Spine CT — 140 mm across the image — sagittal plane, index 353 — 512x933 px
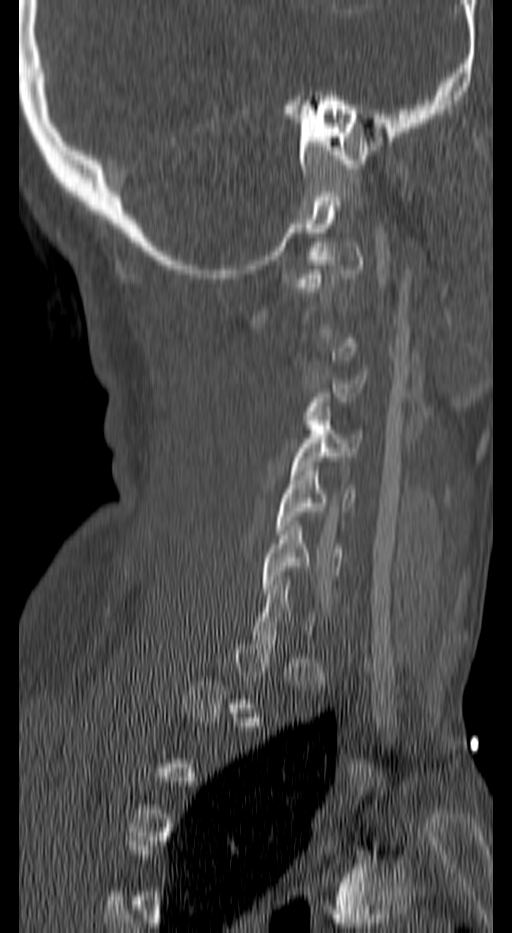 Boxes: x1 y1 x2 y2 (pixel coords, space-separated). Not every vertebra on this slice has a box: a vertebra is boxed only from the first to the last slice where its cross-section is at least a third of its largest, and this slice is outside that range for at least one of them. 4 vertebrae labeled — C3 at 302 375 366 429; C4 at 290 411 362 479; C5 at 276 466 355 534; C6 at 261 521 342 593.